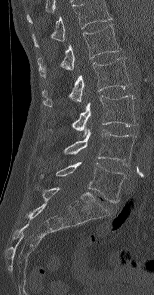

Computed tomography of the spine; sagittal view
The highest labeled vertebra in this scan is L1; the lowest is L5.
<vertebrae><v name="L1" x1="38" y1="24" x2="121" y2="76"/><v name="L2" x1="42" y1="57" x2="130" y2="106"/><v name="L3" x1="73" y1="95" x2="136" y2="137"/><v name="L4" x1="64" y1="128" x2="135" y2="165"/><v name="L5" x1="40" y1="162" x2="126" y2="202"/></vertebrae>